CT spine. sagittal reformat. bone window. scan covers 9 annotated vertebrae
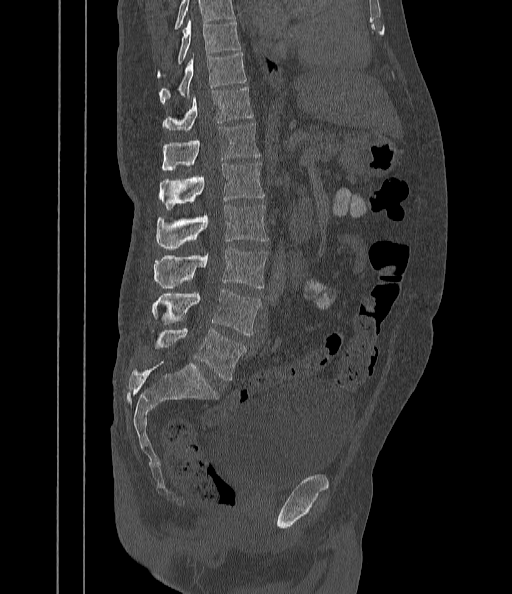 Each vertebra maps to its box as [x1, y1, x2, y2], the pixel coordinates of its top-left and bottom-right corners.
No box is given to a vertebra that the top edge of the scan cuts off.
{"vertebrae":{"T9":[156,21,241,77],"T10":[159,52,247,105],"T11":[163,87,253,131],"T12":[162,123,260,171],"L1":[159,162,264,209],"L2":[155,205,268,249],"L3":[153,247,268,289],"L4":[152,290,261,336],"L5":[156,328,246,381]}}